CT spine. 149 mm image width. sagittal view. Bone window (WL 400, WW 1800). 512x919 px. 12 vertebrae labeled in this scan
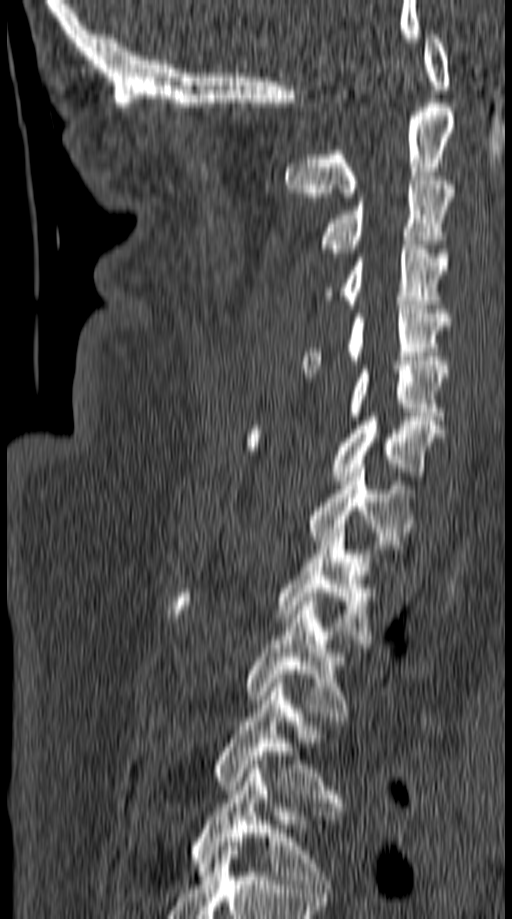
Box edges are left/top/right/bottom in pixels.
C1: left=424, top=30, right=450, bottom=89
C2: left=286, top=103, right=454, bottom=197
C3: left=319, top=172, right=453, bottom=257
C4: left=323, top=245, right=447, bottom=308
C5: left=302, top=305, right=448, bottom=373
C6: left=347, top=365, right=447, bottom=420
C7: left=245, top=412, right=445, bottom=484
T1: left=307, top=464, right=415, bottom=549
T2: left=170, top=528, right=371, bottom=643
T3: left=245, top=597, right=347, bottom=721
T4: left=214, top=683, right=340, bottom=807
T5: left=190, top=760, right=337, bottom=892